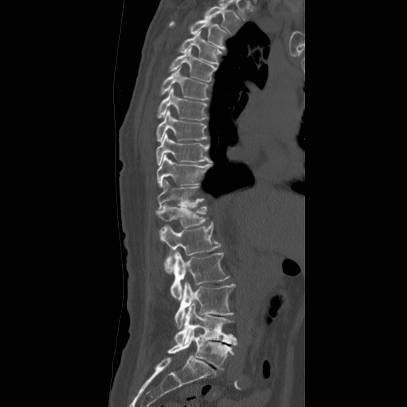

CT, spine — sagittal view — bone-window reconstruction

Boxes are given in columns x1, y1, x2, y2, the pixel coordinates of their top-left and bottom-right corners.
| vertebra | x1 | y1 | x2 | y2 |
|---|---|---|---|---|
| T2 | 202 | 6 | 240 | 35 |
| T3 | 168 | 16 | 230 | 50 |
| T4 | 179 | 31 | 222 | 65 |
| T5 | 168 | 47 | 217 | 82 |
| T6 | 159 | 67 | 210 | 100 |
| T7 | 156 | 88 | 207 | 120 |
| T8 | 155 | 110 | 207 | 141 |
| T9 | 155 | 133 | 212 | 165 |
| T10 | 155 | 153 | 210 | 188 |
| T11 | 157 | 180 | 203 | 207 |
| T12 | 154 | 201 | 207 | 232 |
| L1 | 159 | 223 | 219 | 276 |
| L2 | 170 | 251 | 228 | 300 |
| L3 | 174 | 281 | 234 | 328 |
| L4 | 173 | 304 | 237 | 345 |
| L5 | 167 | 328 | 234 | 370 |